CT, spine; sagittal view; 150 mm wide
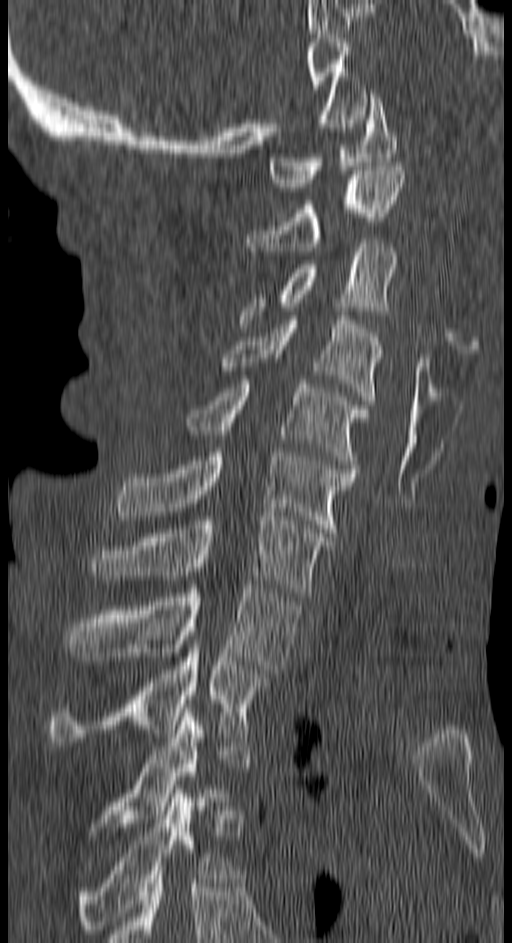 <vertebrae><v name="C1" x1="267" y1="94" x2="396" y2="187"/><v name="C2" x1="247" y1="166" x2="405" y2="251"/><v name="C3" x1="239" y1="239" x2="399" y2="323"/><v name="C4" x1="220" y1="316" x2="383" y2="404"/><v name="C5" x1="186" y1="380" x2="369" y2="468"/><v name="C6" x1="114" y1="452" x2="355" y2="537"/><v name="C7" x1="90" y1="516" x2="331" y2="596"/><v name="T1" x1="66" y1="585" x2="300" y2="673"/><v name="T2" x1="49" y1="644" x2="271" y2="746"/><v name="T3" x1="97" y1="708" x2="212" y2="831"/><v name="T4" x1="76" y1="789" x2="232" y2="933"/></vertebrae>